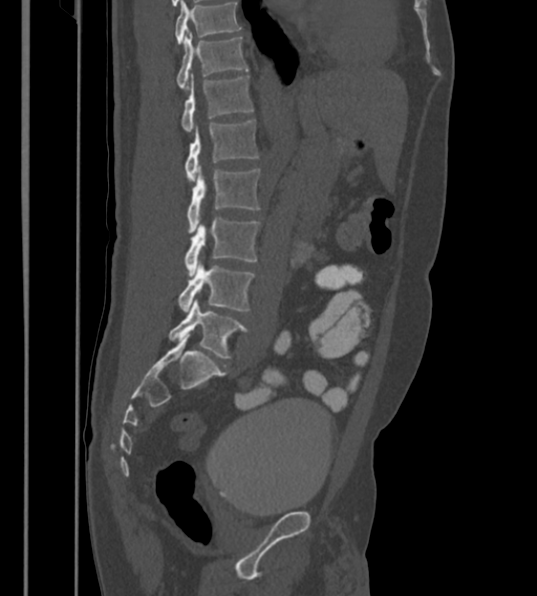
CT, spine · sagittal view · the image is 430 mm wide · bone-window reconstruction · 537x596 px
The highest labeled vertebra in this scan is T12; the lowest is L6.
In these labels the spine has an L6, a sixth lumbar vertebra below L5.
<vertebrae><v name="T12" x1="176" y1="35" x2="248" y2="89"/><v name="L1" x1="181" y1="74" x2="254" y2="131"/><v name="L2" x1="185" y1="120" x2="259" y2="180"/><v name="L3" x1="186" y1="166" x2="260" y2="231"/><v name="L4" x1="185" y1="216" x2="260" y2="275"/><v name="L5" x1="177" y1="265" x2="255" y2="311"/><v name="L6" x1="168" y1="300" x2="248" y2="359"/></vertebrae>